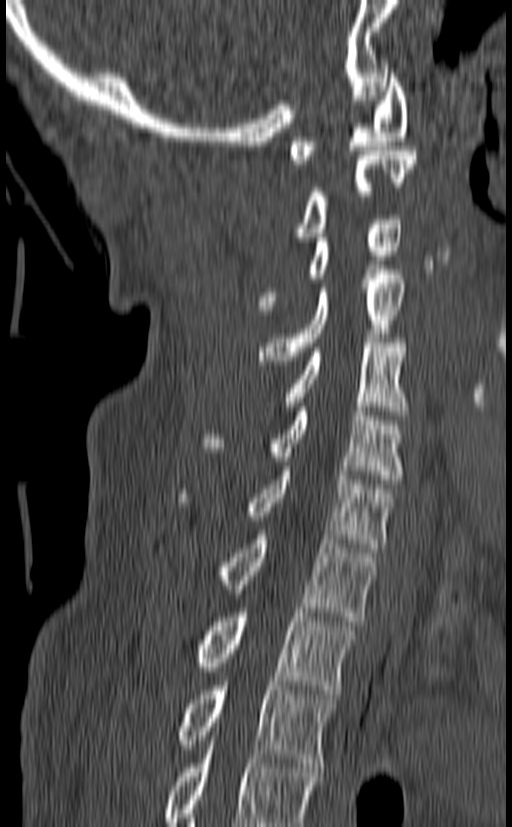 CT — sagittal reformat — Bone window (WL 400, WW 1800) — 512x827 px
Box edges are left/top/right/bottom in pixels.
In this scan, the topmost labeled vertebra is C1 and the lowest is T3.
C1: left=289, top=69, right=407, bottom=164
C2: left=294, top=146, right=416, bottom=241
C3: left=257, top=215, right=402, bottom=314
C4: left=259, top=270, right=404, bottom=360
C5: left=283, top=338, right=407, bottom=415
C6: left=201, top=407, right=403, bottom=484
C7: left=180, top=466, right=395, bottom=552
T1: left=213, top=530, right=377, bottom=621
T2: left=192, top=608, right=356, bottom=694
T3: left=173, top=681, right=337, bottom=767